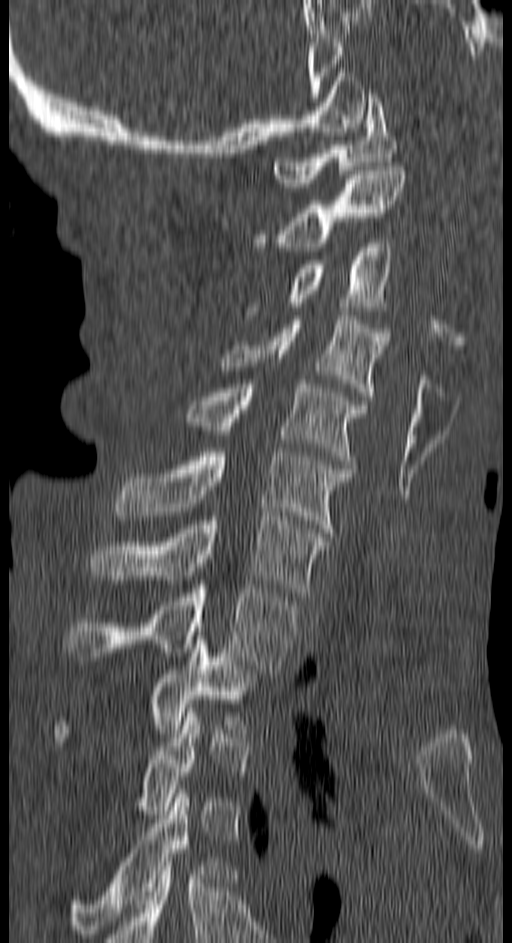
CT — 150 mm wide — sagittal view

Boxes: x1 y1 x2 y2 (pixel coords, space-separated). Not every vertebra on this slice has a box: a vertebra is boxed only from the first to the last slice where its cross-section is at least a third of its largest, and this slice is outside that range for at least one of them. The labeled vertebrae in this slice are: C1 at 274 94 396 187, C2 at 255 166 406 251, C3 at 248 243 389 310, C4 at 219 316 389 396, C5 at 186 380 365 464, C6 at 114 452 348 537, C7 at 90 516 328 596, T1 at 66 585 295 673, T2 at 56 636 262 741, T4 at 68 789 222 938.